CT — sagittal plane, index 187 — scan covers 18 annotated vertebrae
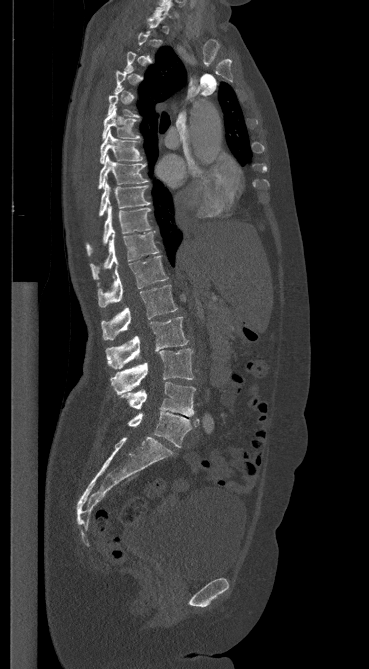 Each vertebra is boxed only on the slices from the first to the last where its cross-section reaches a third of its largest, so a slice outside that range leaves it unboxed.
<vertebrae><v name="C7" x1="153" y1="1" x2="171" y2="17"/><v name="T6" x1="102" y1="107" x2="140" y2="140"/><v name="T7" x1="100" y1="132" x2="142" y2="163"/><v name="T8" x1="98" y1="155" x2="147" y2="188"/><v name="T9" x1="99" y1="182" x2="149" y2="216"/><v name="T10" x1="86" y1="206" x2="150" y2="255"/><v name="T11" x1="90" y1="232" x2="158" y2="279"/><v name="T12" x1="98" y1="256" x2="168" y2="307"/><v name="L1" x1="101" y1="285" x2="177" y2="339"/><v name="L2" x1="106" y1="317" x2="188" y2="369"/><v name="L3" x1="110" y1="349" x2="193" y2="394"/><v name="L4" x1="121" y1="382" x2="195" y2="416"/><v name="L5" x1="128" y1="411" x2="199" y2="447"/></vertebrae>